CT, spine · Sagittal slice 68/197 · W/L 1800/400 HU · some of the image was removed or blocked out with constant pixels
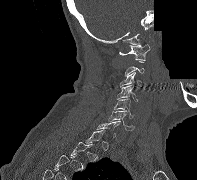

Each vertebra is boxed only on the slices from the first to the last where its cross-section reaches a third of its largest, so a slice outside that range leaves it unboxed.
<vertebrae><v name="C1" x1="119" y1="44" x2="150" y2="60"/><v name="C3" x1="120" y1="72" x2="141" y2="87"/><v name="C4" x1="116" y1="85" x2="137" y2="101"/><v name="C5" x1="114" y1="99" x2="134" y2="118"/><v name="C6" x1="108" y1="110" x2="134" y2="130"/><v name="C7" x1="96" y1="121" x2="120" y2="137"/></vertebrae>